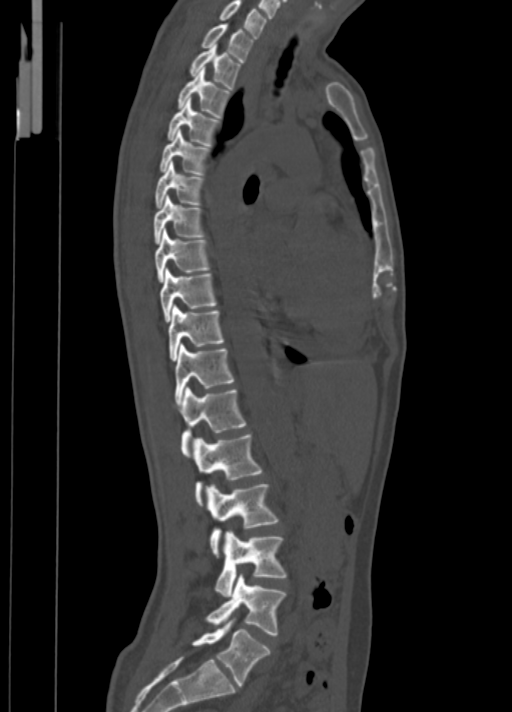
Spine CT. sagittal view
<vertebrae><v name="C7" x1="219" y1="0" x2="267" y2="38"/><v name="T1" x1="200" y1="23" x2="253" y2="62"/><v name="T2" x1="188" y1="44" x2="240" y2="90"/><v name="T3" x1="177" y1="67" x2="230" y2="117"/><v name="T4" x1="167" y1="99" x2="221" y2="147"/><v name="T5" x1="159" y1="129" x2="211" y2="175"/><v name="T6" x1="155" y1="161" x2="205" y2="208"/><v name="T7" x1="153" y1="195" x2="205" y2="243"/><v name="T8" x1="155" y1="228" x2="209" y2="281"/><v name="T9" x1="159" y1="268" x2="217" y2="322"/><v name="T10" x1="168" y1="306" x2="224" y2="360"/><v name="T11" x1="175" y1="344" x2="234" y2="404"/><v name="T12" x1="180" y1="386" x2="246" y2="457"/><v name="L1" x1="193" y1="433" x2="262" y2="507"/><v name="L2" x1="207" y1="484" x2="280" y2="556"/><v name="L3" x1="215" y1="531" x2="287" y2="596"/><v name="L4" x1="206" y1="575" x2="285" y2="635"/><v name="L5" x1="191" y1="622" x2="271" y2="687"/></vertebrae>